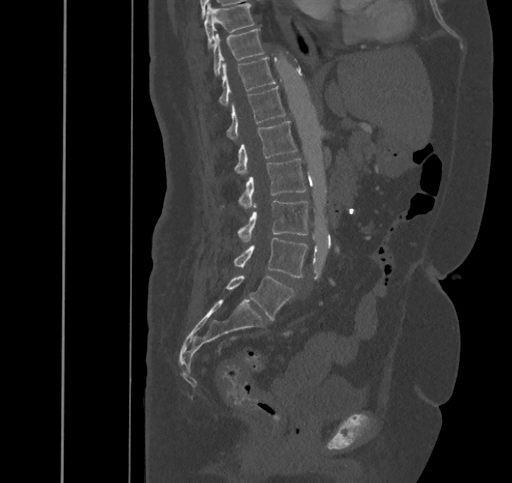
CT — sagittal view — 512x483 px
Columns x1, y1, x2, y2 give each box's top-left and bottom-right pixels.
| vertebra | x1 | y1 | x2 | y2 |
|---|---|---|---|---|
| L5 | 225 | 275 | 295 | 319 |
| L4 | 233 | 237 | 307 | 277 |
| L3 | 237 | 201 | 307 | 241 |
| L2 | 238 | 158 | 306 | 208 |
| L1 | 235 | 121 | 297 | 173 |
| T12 | 227 | 86 | 285 | 140 |
| T11 | 219 | 57 | 275 | 106 |
| T10 | 212 | 28 | 264 | 76 |
| T9 | 204 | 3 | 254 | 48 |